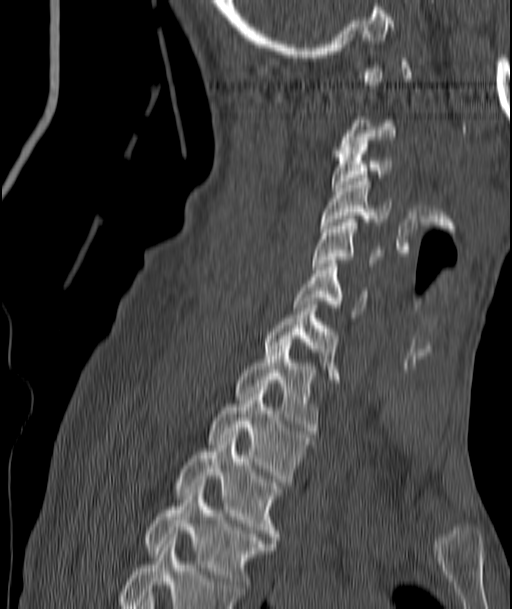
Spine computed tomography — sagittal view — 512x609 px — the image spans 187 mm across
Each box is [x1, y1, x2, y2] in pixels: top-left corner, then bottom-right corner.
Each vertebra is boxed only on the slices from the first to the last where its cross-section reaches a third of its largest, so a slice outside that range leaves it unboxed.
{"vertebrae":{"C3":[332,144,391,191],"C4":[321,178,389,228],"C5":[313,219,380,269],"C6":[294,264,367,314],"C7":[264,301,337,379],"T1":[236,339,317,434],"T2":[209,387,309,482],"T3":[176,431,279,543],"T4":[146,486,274,591]}}